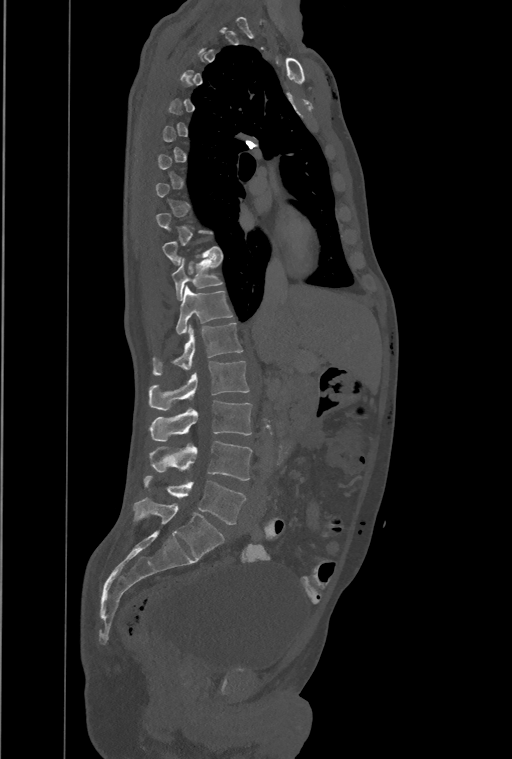 Spine CT; sagittal view; bone window; 512x759 px; 461 mm across the image
Each vertebra maps to its box as [x1, y1, x2, y2], the pixel coordinates of its top-left and bottom-right corners.
Each vertebra is boxed only on the slices from the first to the last where its cross-section reaches a third of its largest, so a slice outside that range leaves it unboxed.
This scan's labels start at T1 at the top and end at L4 at the bottom.
These labels give the spine a thirteenth thoracic vertebra: T13 sits between T12 and L1.
{"vertebrae":{"T11":[172,258,222,299],"T12":[176,286,233,335],"T13":[153,322,243,375],"L1":[148,361,248,410],"L2":[150,400,252,440],"L3":[150,441,252,480],"L4":[144,476,245,524]}}